CT spine. sagittal plane, index 253
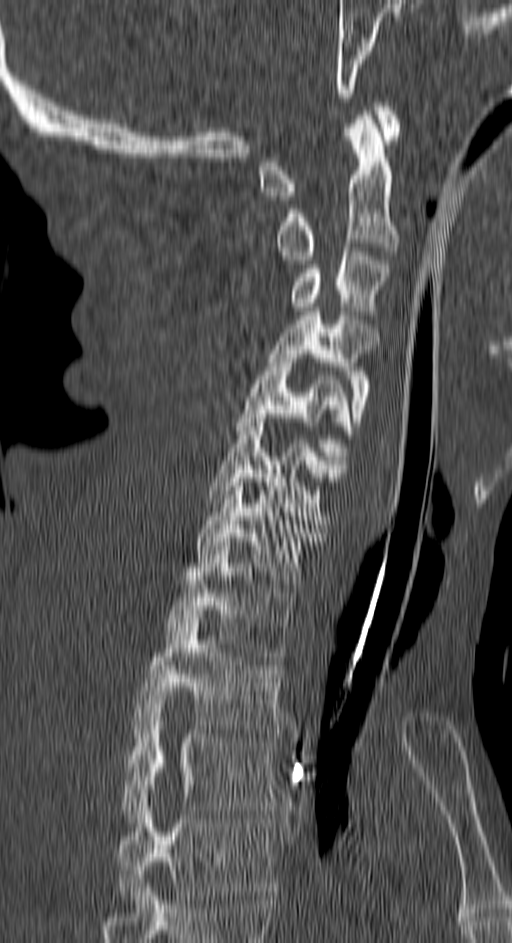
Labels in this scan begin with C1 at the top and end with T4 at the bottom.
<vertebrae><v name="T4" x1="117" y1="794" x2="273" y2="904"/><v name="T3" x1="121" y1="700" x2="277" y2="822"/><v name="T2" x1="134" y1="619" x2="282" y2="733"/><v name="T1" x1="165" y1="546" x2="294" y2="660"/><v name="C7" x1="196" y1="474" x2="321" y2="588"/><v name="C6" x1="209" y1="418" x2="342" y2="524"/><v name="C5" x1="235" y1="354" x2="351" y2="468"/><v name="C4" x1="267" y1="307" x2="376" y2="426"/><v name="C3" x1="291" y1="247" x2="389" y2="315"/><v name="C2" x1="278" y1="115" x2="396" y2="259"/><v name="C1" x1="261" y1="102" x2="400" y2="200"/></vertebrae>